Spine computed tomography. sagittal view. bone window. scan covers 12 annotated vertebrae
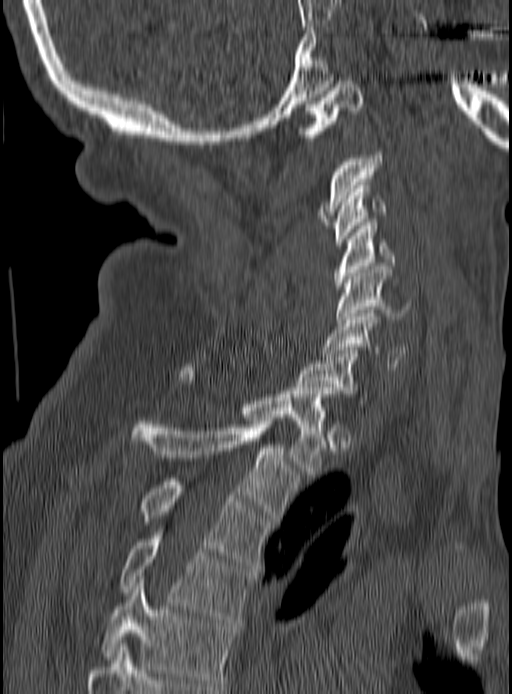 Boxes: x1:y1:x2:y2 in pixels.
Vertebra bounding boxes:
- T5: 103:579:234:686
- T4: 119:532:253:622
- T3: 141:478:269:565
- T2: 130:418:299:521
- T1: 180:364:331:474
- C7: 297:350:368:403
- C6: 321:310:407:370
- C5: 336:266:411:322
- C4: 335:222:396:289
- C3: 335:185:386:245
- C2: 319:152:383:225
- C1: 296:81:364:137